Spine CT · sagittal plane, index 29 · image width 176 mm · scan covers 17 annotated vertebrae
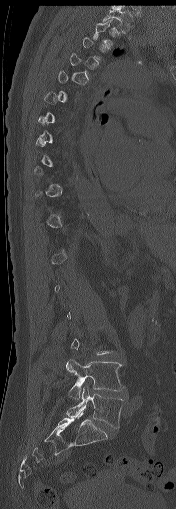
Each box is [x1, y1, x2, y2] in pixels: top-left corner, then bottom-right corner.
A vertebra is boxed only from the first to the last slice where its cross-section is at least a third of its largest; slices outside that range leave it without a box.
{"vertebrae":{"T1":[102,8,134,33],"L4":[66,359,122,399],"L5":[66,387,123,428]}}